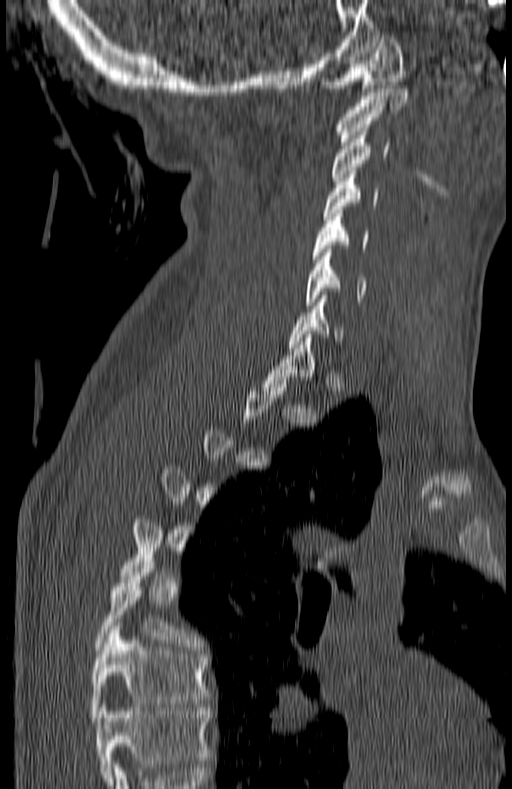

Spine computed tomography; the image spans 180 mm across; sagittal view; bone window

Bounding boxes as [x1, y1, x2, y2] in pixel coordinates.
Each vertebra is boxed only on the slices from the first to the last where its cross-section reaches a third of its largest, so a slice outside that range leaves it unboxed.
The highest labeled vertebra in this scan is C1; the lowest is T7.
C1: [322, 32, 406, 91]
C2: [337, 85, 407, 141]
C3: [331, 128, 390, 184]
C4: [322, 171, 378, 219]
C5: [311, 210, 368, 259]
C6: [305, 249, 364, 305]
C7: [288, 295, 344, 347]
T6: [94, 558, 197, 653]
T7: [89, 626, 209, 721]